Spine CT. sagittal view
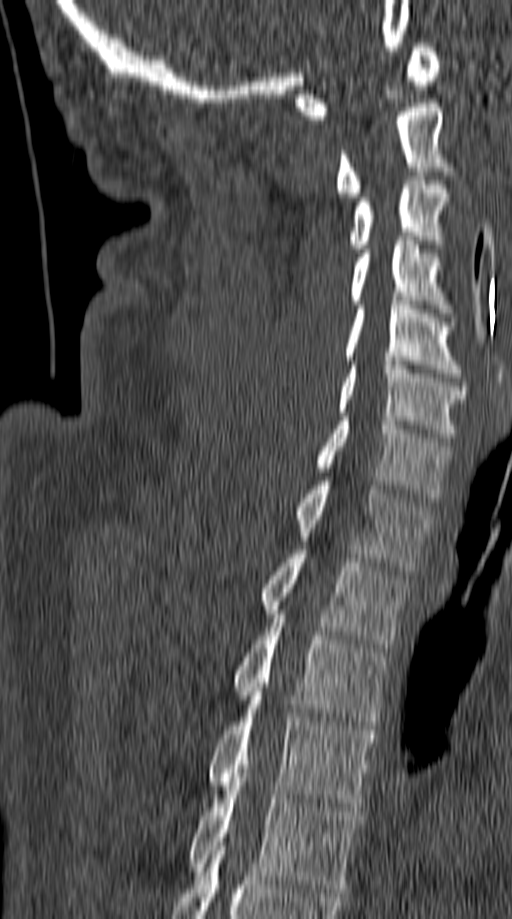
Boxes are (x1, y1, x2, y2) in pixels.
Vertebra bounding boxes:
- C1: (294, 43, 440, 119)
- C2: (335, 103, 447, 197)
- C3: (348, 172, 450, 252)
- C4: (350, 241, 450, 313)
- C5: (344, 301, 461, 377)
- C6: (337, 361, 467, 441)
- C7: (317, 417, 451, 502)
- T1: (297, 481, 433, 570)
- T2: (262, 550, 409, 648)
- T3: (234, 614, 389, 729)
- T4: (207, 692, 375, 807)
- T5: (188, 777, 361, 892)